CT — sagittal view — 408 mm wide
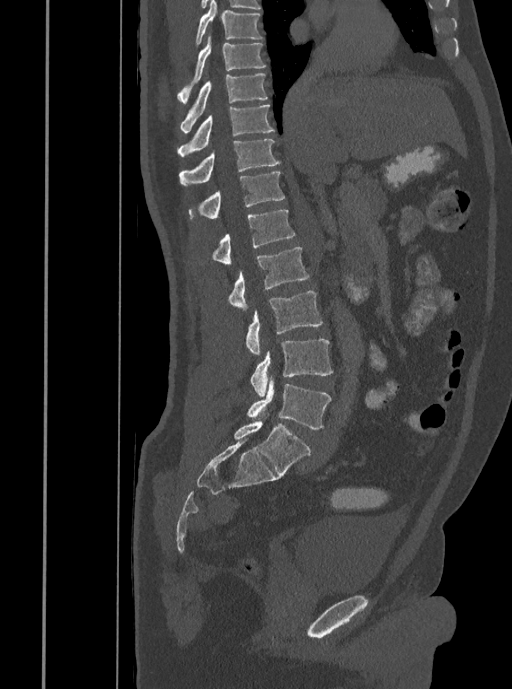 Boxes: x1:y1:x2:y2 in pixels.
Vertebra bounding boxes:
- T7: 196:0:262:44
- T8: 177:36:265:103
- T9: 179:73:267:132
- T10: 177:104:274:156
- T11: 179:139:280:186
- T12: 188:171:285:220
- L1: 211:210:295:263
- L2: 227:247:309:311
- L3: 245:291:323:355
- L4: 250:339:333:397
- L5: 247:379:331:429